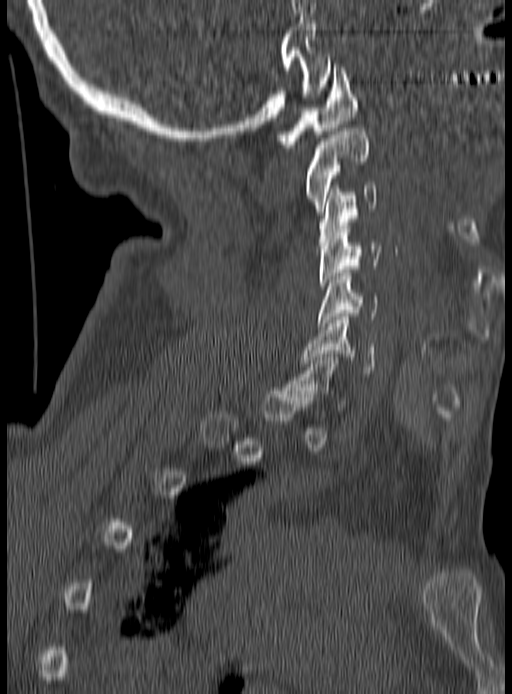
Computed tomography of the spine; sagittal view; image width 190 mm; 512x694 px

Boxes: x1:y1:x2:y2 in pixels. Each vertebra is boxed only on the slices from the first to the last where its cross-section reaches a third of its largest, so a slice outside that range leaves it unboxed. Vertebrae labeled: C6 at 303:317:374:376, C5 at 319:273:378:326, C4 at 319:226:380:289, C3 at 319:185:377:245, C2 at 305:128:369:215, C1 at 278:64:358:147.